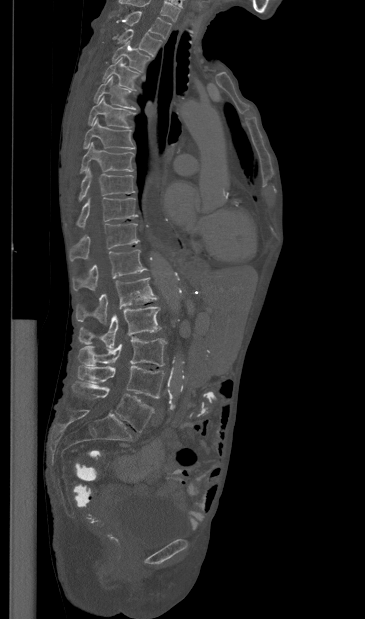

Computed tomography of the spine; sagittal reformat
Boxes: x1 y1 x2 y2 (pixel coords, space-separated).
Labels in this scan begin with T1 at the top and end with L5 at the bottom.
T1: 124 11 171 38
T2: 118 29 161 56
T3: 112 40 150 71
T4: 103 57 139 89
T5: 94 75 135 109
T6: 88 96 134 127
T7: 83 118 134 149
T8: 80 142 134 173
T9: 79 167 134 200
T10: 77 197 137 227
T11: 69 222 139 261
T12: 73 249 147 290
L1: 76 277 157 322
L2: 78 306 161 348
L3: 78 337 166 366
L4: 78 366 164 398
L5: 72 381 154 432